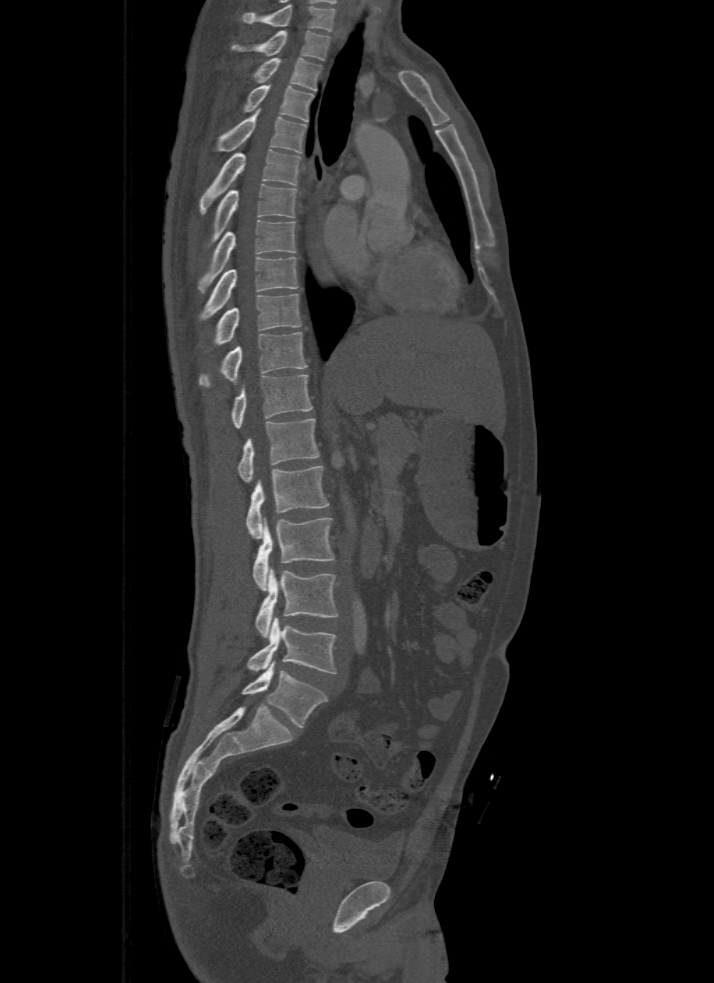

Computed tomography of the spine — sagittal view — Bone window (WL 400, WW 1800) — 500 mm image width
Boxes are (x1, y1, x2, y2) in pixels.
This scan's labels start at T1 at the top and end at L5 at the bottom.
T1: (232, 30, 331, 59)
T2: (253, 58, 321, 91)
T3: (243, 85, 313, 121)
T4: (216, 110, 306, 152)
T5: (199, 150, 300, 214)
T6: (211, 184, 296, 242)
T7: (198, 220, 295, 291)
T8: (198, 257, 298, 321)
T9: (211, 293, 300, 347)
T10: (198, 332, 306, 388)
T11: (232, 375, 311, 428)
T12: (212, 419, 318, 482)
L1: (246, 466, 330, 538)
L2: (253, 518, 335, 590)
L3: (255, 568, 338, 637)
L4: (247, 618, 337, 674)
L5: (241, 662, 328, 728)